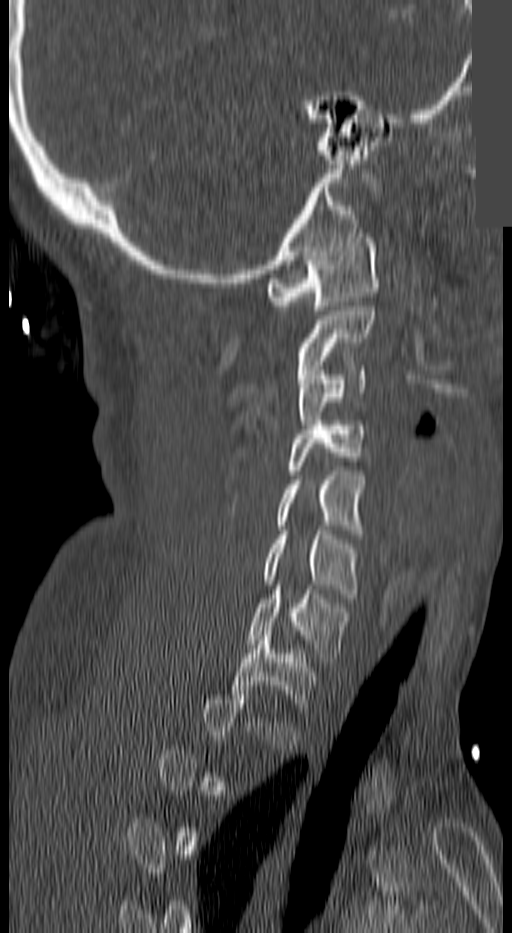 CT, spine — sagittal view — image width 140 mm — a region of this slice is masked with a uniform fill
A vertebra gets a box only on the slices from the first to the last where its cross-section is at least a third of its largest; on a slice outside that range it gets none.
<vertebrae><v name="C1" x1="268" y1="233" x2="377" y2="310"/><v name="C2" x1="298" y1="306" x2="373" y2="369"/><v name="C3" x1="297" y1="366" x2="366" y2="429"/><v name="C4" x1="287" y1="421" x2="366" y2="474"/><v name="C5" x1="276" y1="471" x2="362" y2="534"/><v name="C6" x1="265" y1="530" x2="359" y2="598"/><v name="C7" x1="246" y1="585" x2="348" y2="662"/><v name="T1" x1="232" y1="631" x2="315" y2="703"/></vertebrae>